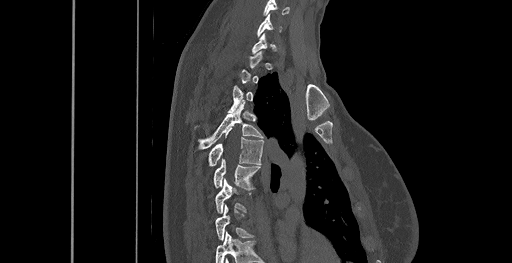

Spine computed tomography. sagittal reformat. the image is 461 mm wide. 512x263 px
Each vertebra maps to its box as [x1, y1, x2, y2], the pixel coordinates of its top-left and bottom-right corners.
A vertebra is boxed only from the first to the last slice where its cross-section is at least a third of its largest; slices outside that range leave it without a box.
Labels in this scan begin with C6 at the top and end with T8 at the bottom.
{"vertebrae":{"T7":[215,179,246,213],"T6":[214,159,259,189],"T5":[208,130,263,165],"T4":[195,103,263,149],"C6":[256,14,282,35]}}